CT spine — sagittal view — scan covers 10 annotated vertebrae
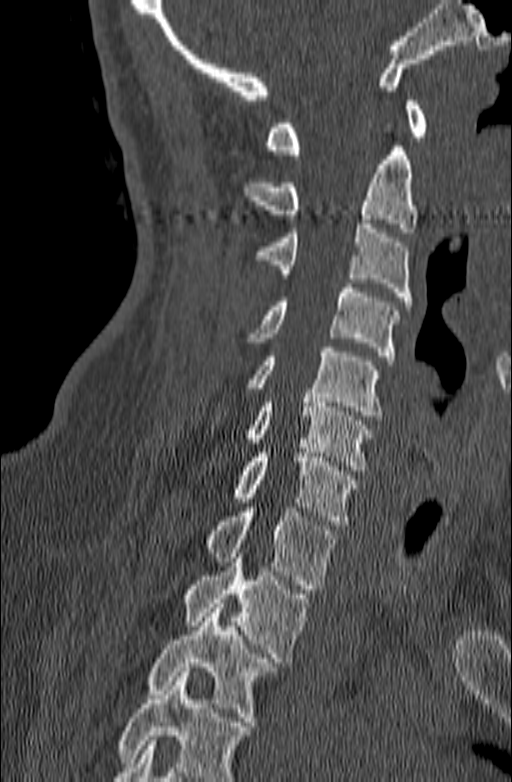

Boxes below are [x1, y1, x2, y2] in pixels.
No box is given to a vertebra that the bottom edge of the scan cuts off.
{"vertebrae":{"T3":[148,603,277,726],"T2":[184,558,308,662],"T1":[203,507,337,589],"C7":[232,453,359,525],"C6":[246,393,373,470],"C5":[247,347,381,420],"C4":[246,283,399,360],"C3":[257,219,411,305],"C2":[242,146,417,232],"C1":[265,101,427,154]}}